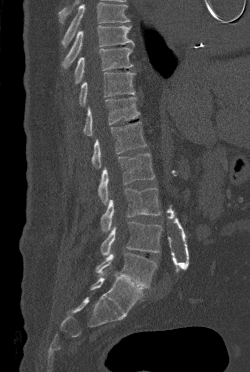
CT, spine; 250 mm wide; sagittal view; bone window; 250x372 px
Each box given as x1,y1,x2,y2.
A vertebra cut off by the top edge of the scan is not labeled and has no box.
T9: x1=61, y1=26, x2=134, y2=68
T10: x1=74, y1=47, x2=133, y2=83
T11: x1=79, y1=72, x2=135, y2=106
T12: x1=83, y1=97, x2=139, y2=136
L1: x1=91, y1=121, x2=146, y2=168
L2: x1=98, y1=153, x2=154, y2=204
L3: x1=100, y1=188, x2=160, y2=231
L4: x1=100, y1=221, x2=162, y2=255
L5: x1=96, y1=253, x2=157, y2=288